CT spine — sagittal view — W/L 1800/400 HU — the image spans 165 mm across — 512x780 px
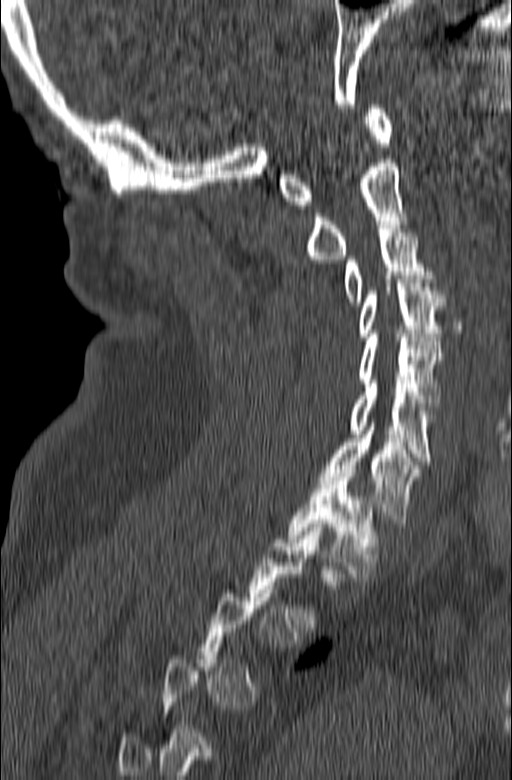

Boxes: x1:y1:x2:y2 in pixels. A vertebra is boxed only from the first to the last slice where its cross-section is at least a third of its largest; slices outside that range leave it without a box. 8 vertebrae labeled — C1 at 279:105:392:208; C2 at 305:159:412:263; C3 at 342:225:434:305; C4 at 358:275:444:340; C5 at 358:334:444:402; C6 at 349:380:434:464; C7 at 318:419:422:523; T1 at 287:469:379:581.